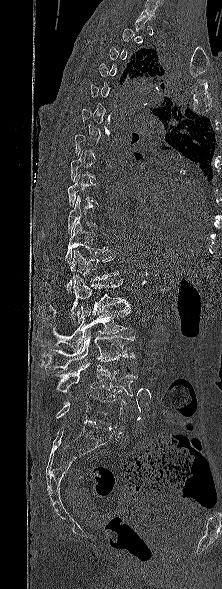 Spine computed tomography — sagittal view — bone window — 222x589 px
Columns x1, y1, x2, y2 give each box's top-left and bottom-right pixels.
Each vertebra is boxed only on the slices from the first to the last where its cross-section reaches a third of its largest, so a slice outside that range leaves it unboxed.
| vertebra | x1 | y1 | x2 | y2 |
|---|---|---|---|---|
| T10 | 67 | 195 | 97 | 234 |
| T11 | 44 | 220 | 107 | 264 |
| T12 | 66 | 249 | 118 | 293 |
| L1 | 39 | 275 | 129 | 324 |
| L2 | 37 | 302 | 131 | 350 |
| L3 | 41 | 332 | 135 | 371 |
| L4 | 56 | 363 | 138 | 398 |
| L5 | 56 | 395 | 124 | 430 |